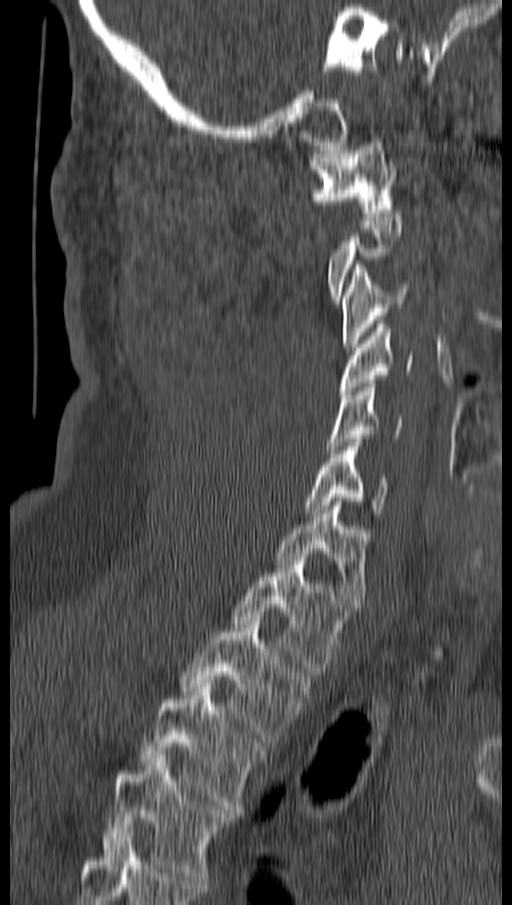 Spine CT. sagittal view. bone-window reconstruction. 512x905 px
Bounding boxes as [x1, y1, x2, y2] in pixel coordinates. Each vertebra is boxed only on the slices from the first to the last where its cross-section reaches a third of its largest, so a slice outside that range leaves it unboxed. 10 vertebrae labeled — T4 at [102, 755, 231, 880]; T3 at [140, 683, 262, 809]; T2 at [181, 620, 310, 742]; T1 at [232, 557, 348, 675]; C7 at [276, 502, 367, 607]; C6 at [304, 442, 390, 517]; C5 at [327, 383, 402, 453]; C4 at [339, 320, 412, 394]; C3 at [342, 261, 409, 351]; C1 at [311, 138, 397, 216].